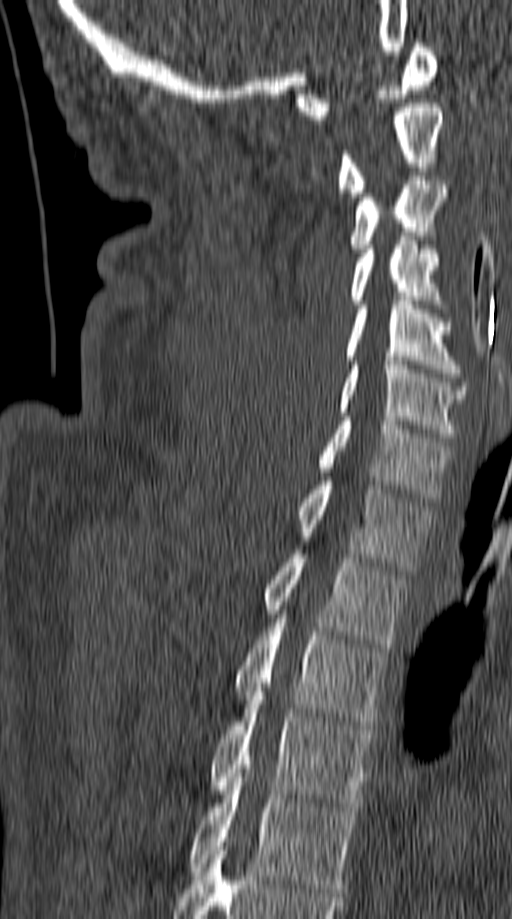
CT — sagittal reformat
<vertebrae><v name="C1" x1="295" y1="43" x2="437" y2="119"/><v name="C2" x1="338" y1="103" x2="443" y2="197"/><v name="C3" x1="350" y1="176" x2="447" y2="252"/><v name="C4" x1="350" y1="241" x2="440" y2="308"/><v name="C5" x1="345" y1="301" x2="461" y2="377"/><v name="C6" x1="338" y1="361" x2="466" y2="437"/><v name="C7" x1="318" y1="417" x2="450" y2="502"/><v name="T1" x1="297" y1="481" x2="430" y2="570"/><v name="T2" x1="262" y1="550" x2="406" y2="648"/><v name="T3" x1="235" y1="614" x2="386" y2="729"/><v name="T4" x1="211" y1="692" x2="375" y2="807"/><v name="T5" x1="187" y1="777" x2="358" y2="892"/></vertebrae>